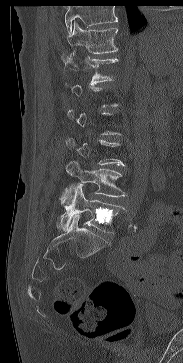

Spine CT. sagittal view. 183 mm wide
Box values are [left, top, right, bottom] in pixels.
Not every vertebra on this slice has a box: a vertebra is boxed only from the first to the last slice where its cross-section is at least a third of its largest, and this slice is outside that range for at least one of them.
Vertebrae that run past the top of the scan are left unlabeled.
{"vertebrae":{"T11":[67,21,118,53],"T12":[61,51,118,82],"L4":[64,161,126,205],"L5":[57,186,125,233]}}